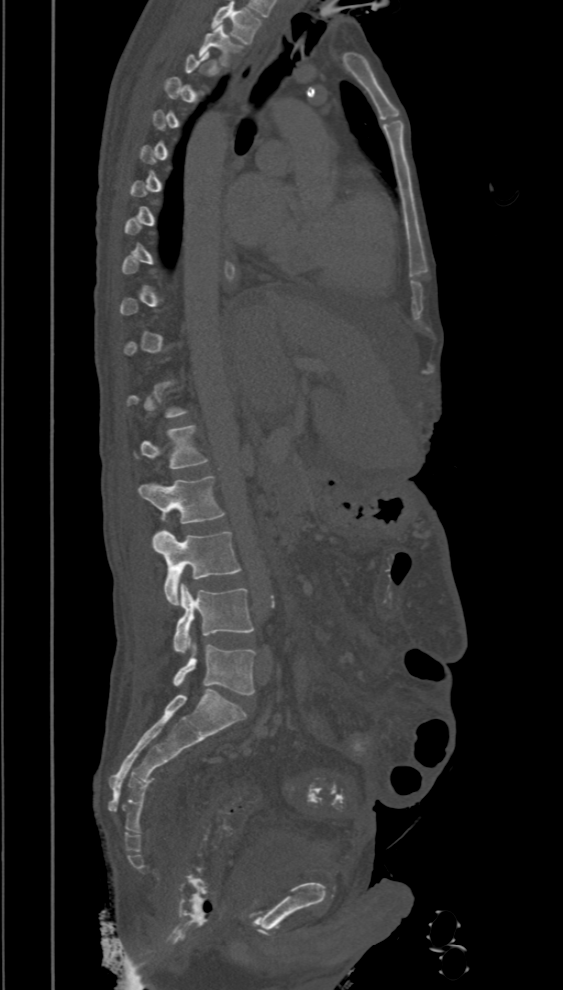
CT, spine. sagittal view
Boxes are (x1, y1, x2, y2) in pixels.
A vertebra gets a box only on the slices from the first to the last where its cross-section is at least a third of its largest; on a slice outside that range it gets none.
In this scan, the topmost labeled vertebra is T2 and the lowest is L5.
Vertebra bounding boxes:
- T2: (199, 25, 242, 66)
- L1: (140, 426, 208, 468)
- L2: (139, 476, 224, 524)
- L3: (153, 530, 240, 605)
- L4: (173, 583, 253, 654)
- L5: (171, 642, 255, 695)